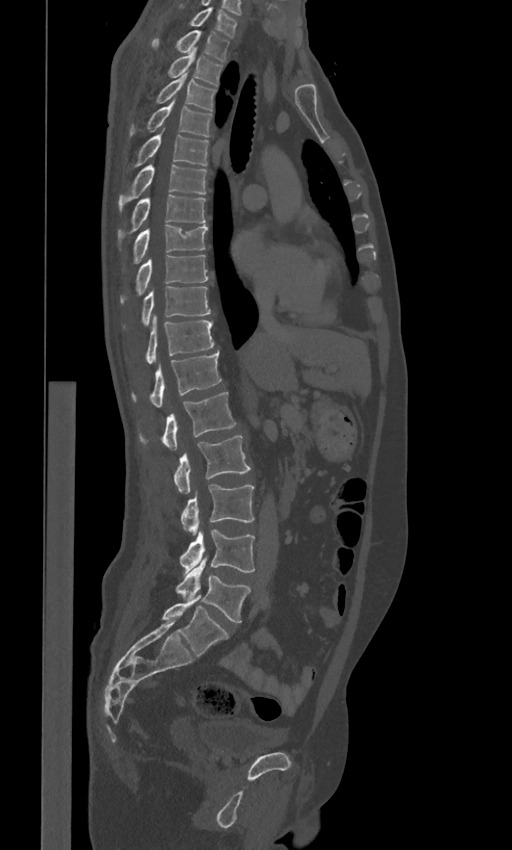

CT spine · sagittal view
Each box is [x1, y1, x2, y2] in pixels: top-left corner, then bottom-right corner.
In these labels the spine has an L6, a sixth lumbar vertebra below L5.
{"vertebrae":{"L6":[161,595,228,655],"L5":[176,559,250,622],"L4":[180,529,254,572],"L3":[180,484,254,535],"L2":[173,435,250,493],"L1":[140,392,236,450],"T12":[132,351,221,408],"T11":[146,315,214,363],"T10":[142,286,210,326],"T9":[121,255,208,302],"T8":[133,225,207,263],"T7":[118,195,205,238],"T6":[118,164,207,211],"T5":[134,130,208,165],"T4":[129,100,213,137],"T3":[156,74,216,110],"T2":[168,48,222,86],"T1":[151,30,229,61],"C7":[189,7,237,37]}}